Computed tomography of the spine · image 340 mm wide · sagittal view · bone-window reconstruction
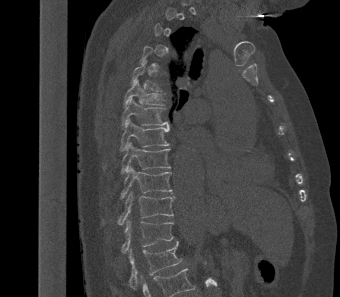
Each box given as x1,y1,x2,y2.
A vertebra gets a box only on the slices from the first to the last where its cross-section is at least a third of its largest; on a slice outside that range it gets none.
Vertebra bounding boxes:
- T5: x1=130, y1=61, x2=160, y2=91
- T6: x1=123, y1=80, x2=163, y2=107
- T7: x1=121, y1=97, x2=169, y2=130
- T8: x1=120, y1=118, x2=169, y2=151
- T9: x1=121, y1=142, x2=170, y2=174
- T10: x1=120, y1=165, x2=172, y2=199
- T11: x1=117, y1=191, x2=175, y2=225
- T12: x1=121, y1=220, x2=173, y2=253
- L1: x1=128, y1=241, x2=181, y2=289